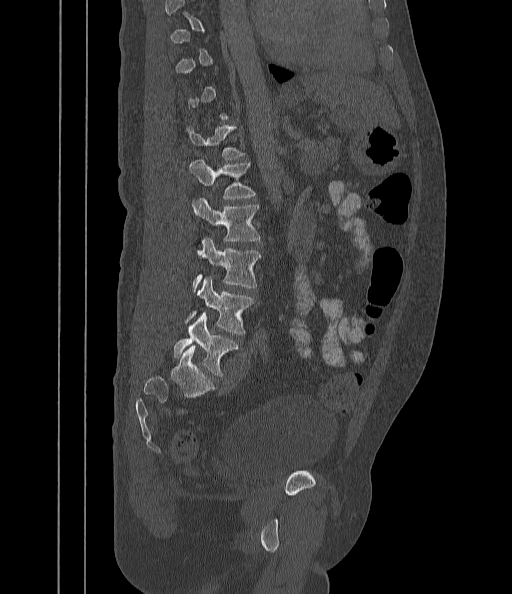
Spine computed tomography — sagittal view — bone window — 512x594 px
Bounding boxes as [x1, y1, x2, y2] in pixel coordinates. A vertebra gets a box only on the slices from the first to the last where its cross-section is at least a third of its largest; on a slice outside that range it gets none. Vertebrae labeled: T12 at [188, 125, 244, 159], L1 at [189, 158, 255, 199], L2 at [192, 198, 260, 241], L3 at [192, 238, 261, 291], L4 at [186, 278, 254, 334], L5 at [174, 313, 238, 376].